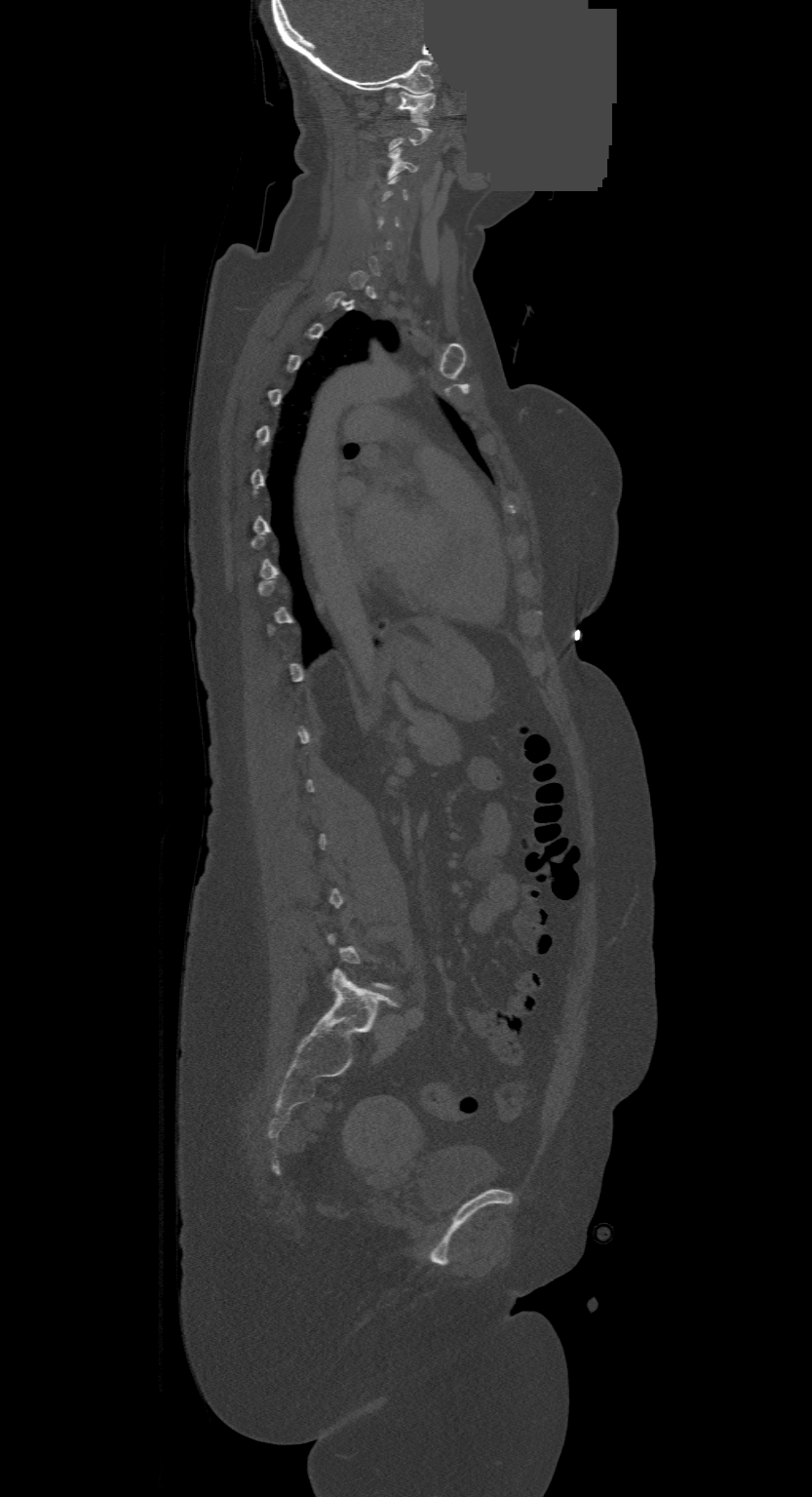
Spine computed tomography — sagittal reformat — bone-window reconstruction — 500 mm image width — a portion of the image is blanked out (constant pixel value)

Boxes: x1:y1:x2:y2 in pixels.
A vertebra gets a box only on the slices from the first to the last where its cross-section is at least a third of its largest; on a slice outside that range it gets none.
Vertebra bounding boxes:
- C1: 399:92:434:123
- C3: 389:148:416:177